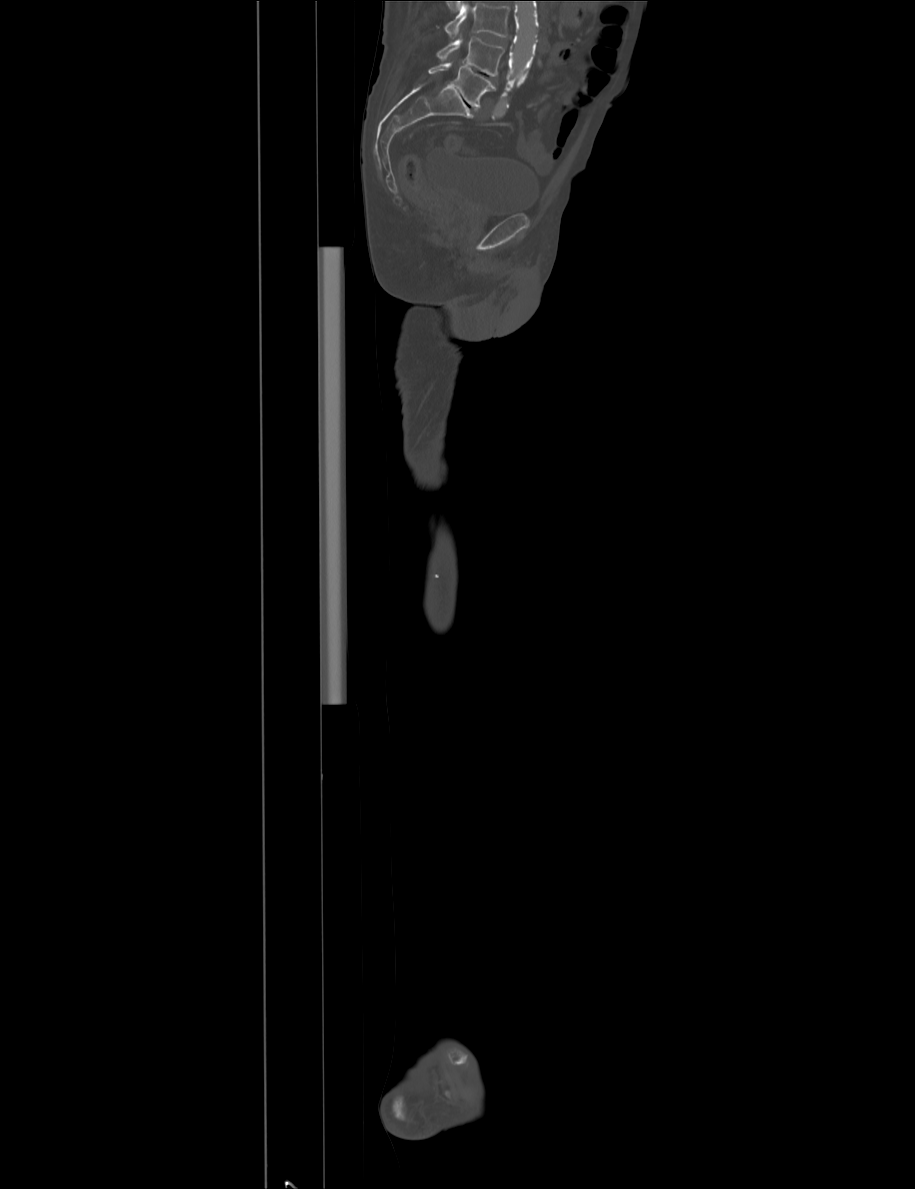
CT spine — sagittal view — bone-window reconstruction. Boxes are given in columns x1, y1, x2, y2, the pixel coordinates of their top-left and bottom-right corners.
Vertebrae that run past the top of the scan are left unlabeled.
| vertebra | x1 | y1 | x2 | y2 |
|---|---|---|---|---|
| L5 | 428 | 63 | 495 | 107 |
| L4 | 436 | 37 | 504 | 76 |